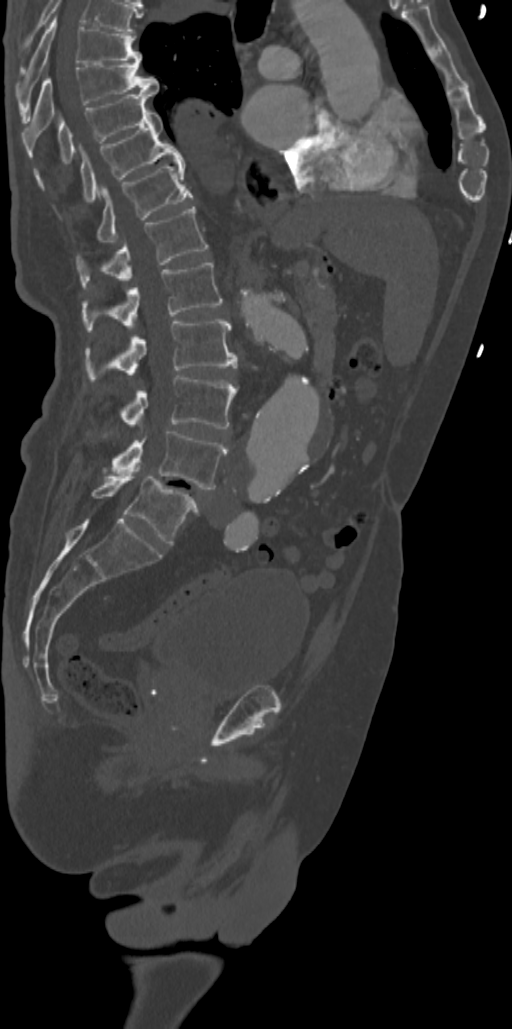 Spine computed tomography; sagittal view; 342 mm wide; W/L 1800/400 HU
Each vertebra maps to its box as [x1, y1, x2, y2], the pixel coordinates of its top-left and bottom-right corners.
This scan's labels start at T7 at the top and end at L5 at the bottom.
{"vertebrae":{"T7":[18,18,141,120],"T8":[22,61,159,138],"T9":[34,90,155,174],"T10":[81,110,184,201],"T11":[97,162,192,242],"T12":[76,207,208,287],"L1":[82,261,222,331],"L2":[85,319,237,381],"L3":[120,375,237,428],"L4":[111,431,226,489],"L5":[91,472,198,545]}}